CT spine. sagittal view. the image spans 232 mm across. Bone window (WL 400, WW 1800). 232x233 px. scan covers 5 annotated vertebrae
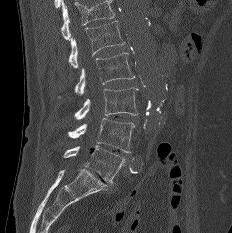

Box values are [left, top, right, bottom] in pixels.
Vertebrae that run past the top of the scan are left unlabeled.
{"vertebrae":{"L1":[69,21,124,67],"L2":[74,52,135,95],"L3":[74,87,138,119],"L4":[68,118,134,152],"L5":[63,145,125,184]}}